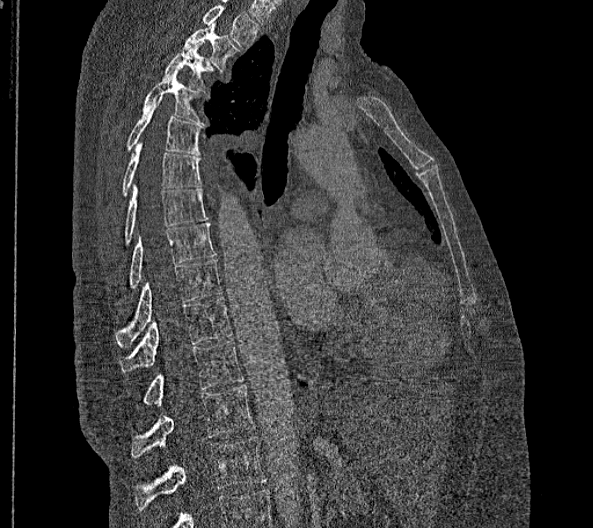
CT spine. sagittal view. Bone window (WL 400, WW 1800)

Each box is [x1, y1, x2, y2] in pixels: top-left corner, then bottom-right corner.
Labels in this scan begin with T2 at the top and end with L2 at the bottom.
In these labels the thoracic vertebrae end at T11, so L1 follows T11.
{"vertebrae":{"T2":[182,24,238,71],"T3":[162,43,213,96],"T4":[143,72,204,125],"T5":[126,97,199,155],"T6":[122,143,201,196],"T7":[123,187,208,244],"T8":[129,223,216,289],"T9":[116,259,221,347],"T10":[119,298,232,371],"T11":[143,340,244,406],"L1":[131,385,255,457],"L2":[134,437,266,512]}}